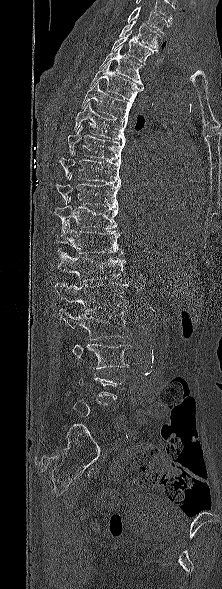

CT spine · sagittal view · Bone window (WL 400, WW 1800). Coordinates as <box>x1,y1,x2,y2</box>. Each vertebra is boxed only on the slices from the first to the last where its cross-section reaches a third of its largest, so a slice outside that range leaves it unboxed. Labels in this scan begin with T1 at the top and end with L5 at the bottom. The labeled vertebrae in this slice are: T1 at <box>119,21,160,52</box>, T2 at <box>111,31,155,65</box>, T3 at <box>99,46,142,85</box>, T4 at <box>90,64,143,101</box>, T5 at <box>81,83,132,120</box>, T6 at <box>74,102,127,141</box>, T7 at <box>67,126,125,160</box>, T8 at <box>59,150,121,184</box>, T9 at <box>55,173,120,207</box>, T10 at <box>54,196,118,233</box>, T11 at <box>55,221,123,254</box>, T12 at <box>55,252,125,281</box>, L1 at <box>55,282,129,312</box>, L2 at <box>59,308,128,340</box>, L3 at <box>72,343,129,368</box>.